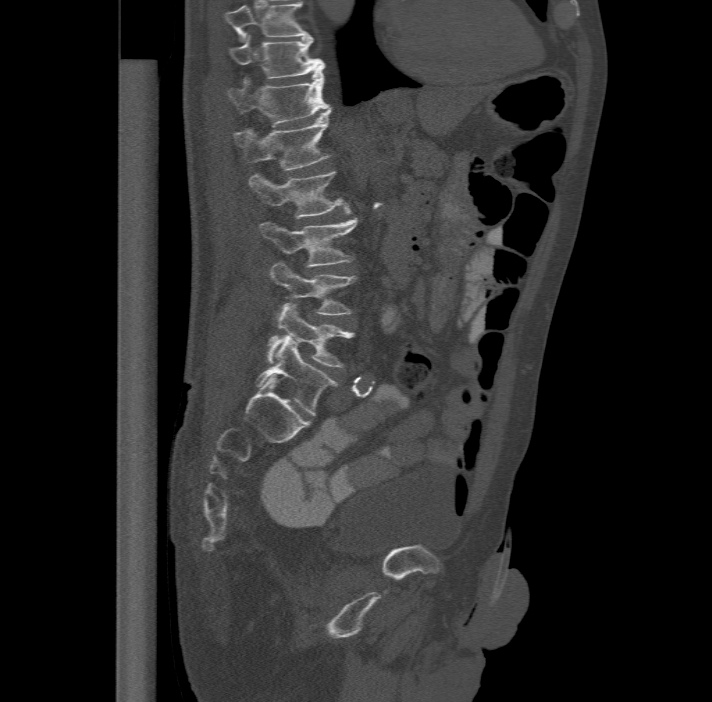

Computed tomography of the spine; sagittal view. Bounding boxes as [x1, y1, x2, y2] in pixel coordinates. The highest labeled vertebra in this scan is T11; the lowest is L6. The labels name a sixth lumbar vertebra for this spine: L6, after L5. 8 vertebrae labeled — L6 at [257, 335, 337, 415]; L5 at [267, 303, 354, 367]; L4 at [270, 261, 355, 314]; L3 at [260, 216, 358, 266]; L2 at [249, 170, 348, 217]; L1 at [234, 109, 330, 169]; T12 at [228, 67, 330, 123]; T11 at [228, 36, 324, 76].